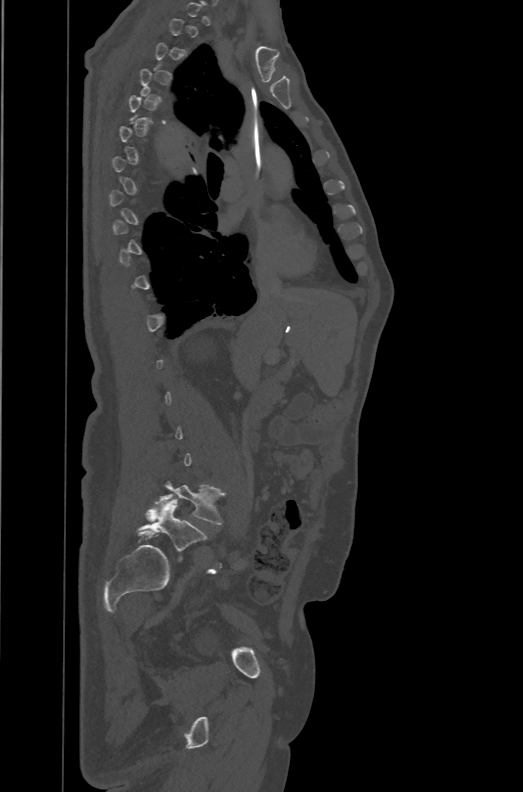
Spine CT. the image is 471 mm wide. sagittal view. Bone window (WL 400, WW 1800)
A vertebra is boxed only from the first to the last slice where its cross-section is at least a third of its largest; slices outside that range leave it without a box.
These labels give the spine a sixth lumbar vertebra, L6, below L5.
<vertebrae><v name="L5" x1="154" y1="482" x2="225" y2="524"/><v name="L6" x1="137" y1="499" x2="206" y2="551"/></vertebrae>